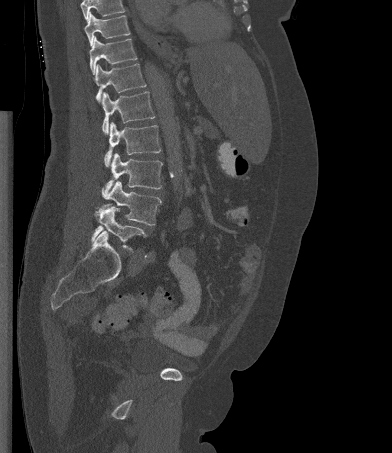 Spine computed tomography; sagittal reformat; image 392 mm wide
Columns x1, y1, x2, y2 give each box's top-left and bottom-right pixels.
Where the top of the scan cuts through a vertebra, that vertebra gets no label or box.
| vertebra | x1 | y1 | x2 | y2 |
|---|---|---|---|---|
| T10 | 84 | 12 | 130 | 45 |
| T11 | 89 | 36 | 137 | 74 |
| T12 | 94 | 63 | 146 | 102 |
| L1 | 101 | 91 | 155 | 134 |
| L2 | 104 | 122 | 160 | 166 |
| L3 | 102 | 153 | 162 | 195 |
| L4 | 103 | 180 | 161 | 225 |
| L5 | 91 | 206 | 146 | 251 |